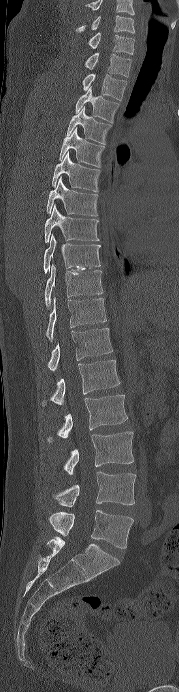
Spine CT; sagittal reformat; 179 mm wide
Coordinates as <box>x1,y1,x2,y2</box>.
Labels in this scan begin with C6 at the top and end with L5 at the bottom.
C6: <box>76,15,135,33</box>
C7: <box>88,32,134,54</box>
T1: <box>85,53,131,77</box>
T2: <box>82,73,126,100</box>
T3: <box>75,87,119,122</box>
T4: <box>66,106,111,144</box>
T5: <box>59,127,104,167</box>
T6: <box>52,152,100,192</box>
T7: <box>46,177,97,216</box>
T8: <box>44,204,99,242</box>
T9: <box>43,234,100,273</box>
T10: <box>44,264,103,306</box>
T11: <box>46,297,106,340</box>
T12: <box>48,328,113,371</box>
L1: <box>41,360,120,406</box>
L2: <box>47,394,127,442</box>
L3: <box>64,431,134,474</box>
L4: <box>52,471,136,507</box>
L5: <box>49,510,133,548</box>